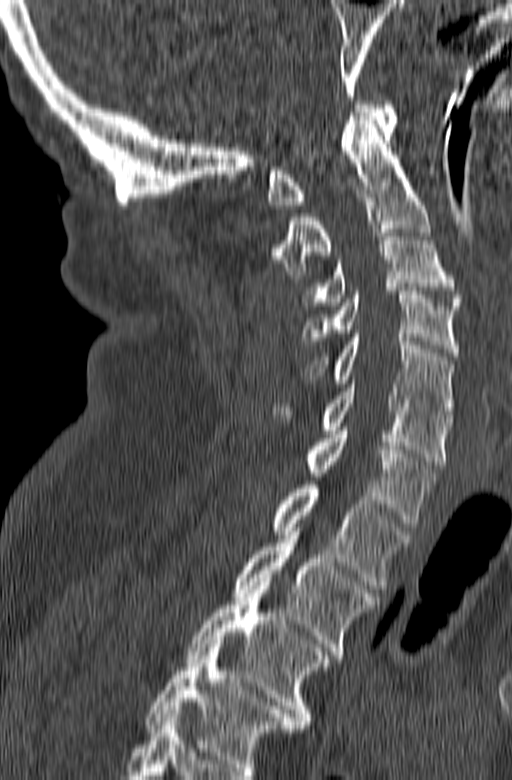

Computed tomography of the spine — sagittal view
Boxes are (x1, y1, x2, y2) in pixels. The highest labeled vertebra in this scan is C1; the lowest is T3. 10 vertebrae labeled — C1 at (266, 101, 397, 208); C2 at (271, 116, 431, 278); C3 at (302, 229, 462, 305); C4 at (303, 291, 460, 356); C5 at (301, 334, 453, 418); C6 at (270, 380, 452, 464); C7 at (305, 427, 435, 527); T1 at (271, 481, 409, 589); T2 at (234, 528, 379, 658); T3 at (187, 578, 329, 728).